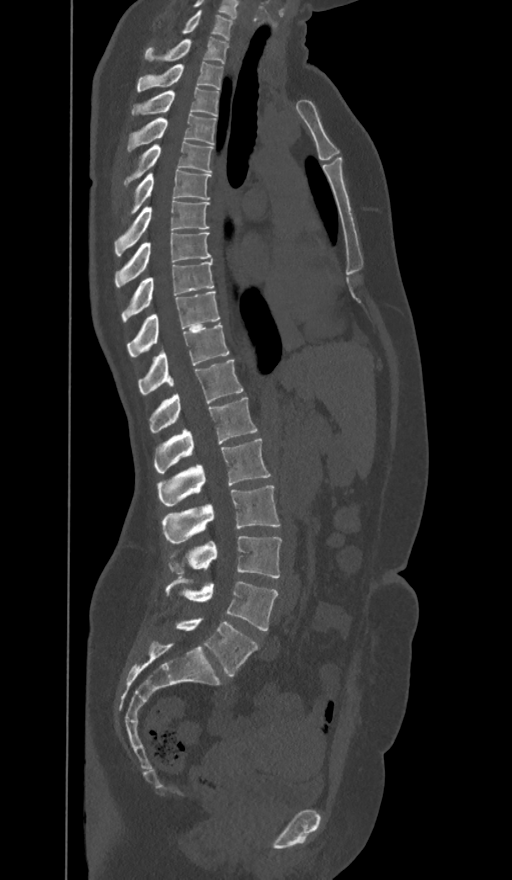
Spine CT — sagittal view — 512x880 px. Boxes are given in columns x1, y1, x2, y2, the pixel coordinates of their top-left and bottom-right corners.
In these labels the spine has an L6, a sixth lumbar vertebra below L5.
| vertebra | x1 | y1 | x2 | y2 |
|---|---|---|---|---|
| C7 | 182 | 11 | 233 | 40 |
| T1 | 145 | 37 | 229 | 63 |
| T2 | 137 | 62 | 223 | 91 |
| T3 | 131 | 87 | 218 | 115 |
| T4 | 127 | 113 | 215 | 151 |
| T5 | 124 | 140 | 212 | 185 |
| T6 | 131 | 169 | 210 | 212 |
| T7 | 115 | 201 | 208 | 257 |
| T8 | 115 | 233 | 211 | 287 |
| T9 | 122 | 260 | 214 | 322 |
| T10 | 127 | 291 | 219 | 356 |
| T11 | 138 | 324 | 229 | 394 |
| T12 | 149 | 360 | 242 | 433 |
| L1 | 155 | 397 | 256 | 473 |
| L2 | 157 | 439 | 270 | 505 |
| L3 | 161 | 485 | 279 | 544 |
| L4 | 170 | 536 | 281 | 578 |
| L5 | 165 | 579 | 278 | 630 |
| L6 | 176 | 619 | 258 | 677 |